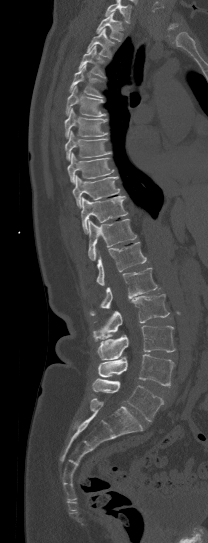
CT, spine; sagittal reformat; 208 mm wide; 208x543 px
Where the top of the scan cuts through a vertebra, that vertebra gets no label or box.
<vertebrae><v name="T1" x1="96" y1="13" x2="124" y2="41"/><v name="T2" x1="87" y1="28" x2="114" y2="57"/><v name="T3" x1="79" y1="45" x2="104" y2="76"/><v name="T4" x1="69" y1="65" x2="102" y2="97"/><v name="T5" x1="65" y1="86" x2="106" y2="116"/><v name="T6" x1="64" y1="108" x2="108" y2="138"/><v name="T7" x1="65" y1="130" x2="111" y2="159"/><v name="T8" x1="67" y1="152" x2="113" y2="183"/><v name="T9" x1="72" y1="176" x2="119" y2="208"/><v name="T10" x1="81" y1="196" x2="127" y2="233"/><v name="T11" x1="88" y1="219" x2="136" y2="260"/><v name="T12" x1="96" y1="242" x2="146" y2="285"/><v name="L1" x1="90" y1="267" x2="157" y2="315"/><v name="L2" x1="93" y1="294" x2="169" y2="340"/><v name="L3" x1="97" y1="325" x2="174" y2="359"/><v name="L4" x1="98" y1="354" x2="176" y2="387"/><v name="L5" x1="92" y1="378" x2="163" y2="421"/></vertebrae>